Computed tomography of the spine · Sagittal slice 168/365 · bone-window reconstruction
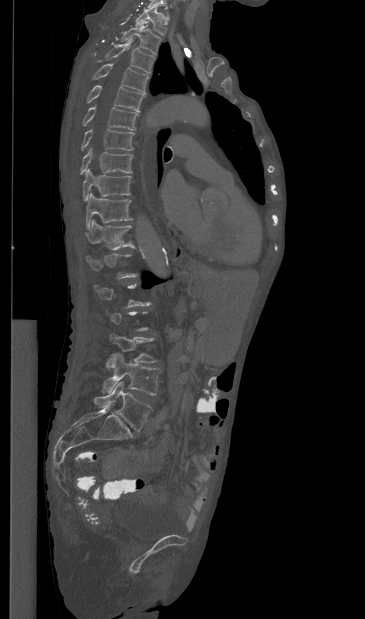

Boxes are given in columns x1, y1, x2, y2, the pixel coordinates of their top-left and bottom-right corners.
A vertebra is boxed only from the first to the last slice where its cross-section is at least a third of its largest; slices outside that range leave it without a box.
| vertebra | x1 | y1 | x2 | y2 |
|---|---|---|---|---|
| T1 | 135 | 5 | 166 | 35 |
| T2 | 120 | 25 | 161 | 54 |
| T3 | 105 | 38 | 154 | 73 |
| T4 | 92 | 63 | 148 | 92 |
| T5 | 87 | 85 | 144 | 111 |
| T6 | 82 | 106 | 138 | 130 |
| T7 | 81 | 129 | 134 | 150 |
| T8 | 80 | 147 | 132 | 174 |
| T9 | 83 | 168 | 131 | 200 |
| T10 | 86 | 192 | 132 | 229 |
| T11 | 85 | 220 | 133 | 249 |
| L3 | 106 | 334 | 156 | 368 |
| L4 | 102 | 353 | 160 | 395 |
| L5 | 93 | 382 | 151 | 431 |